CT; sagittal view; 152x195 px
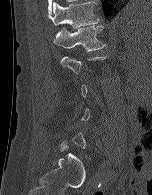
Bounding boxes as [x1, y1, x2, y2] in pixel coordinates.
A vertebra is boxed only from the first to the last slice where its cross-section is at least a third of its largest; slices outside that range leave it without a box.
T12: [48, 1, 99, 28]
L1: [53, 26, 106, 51]